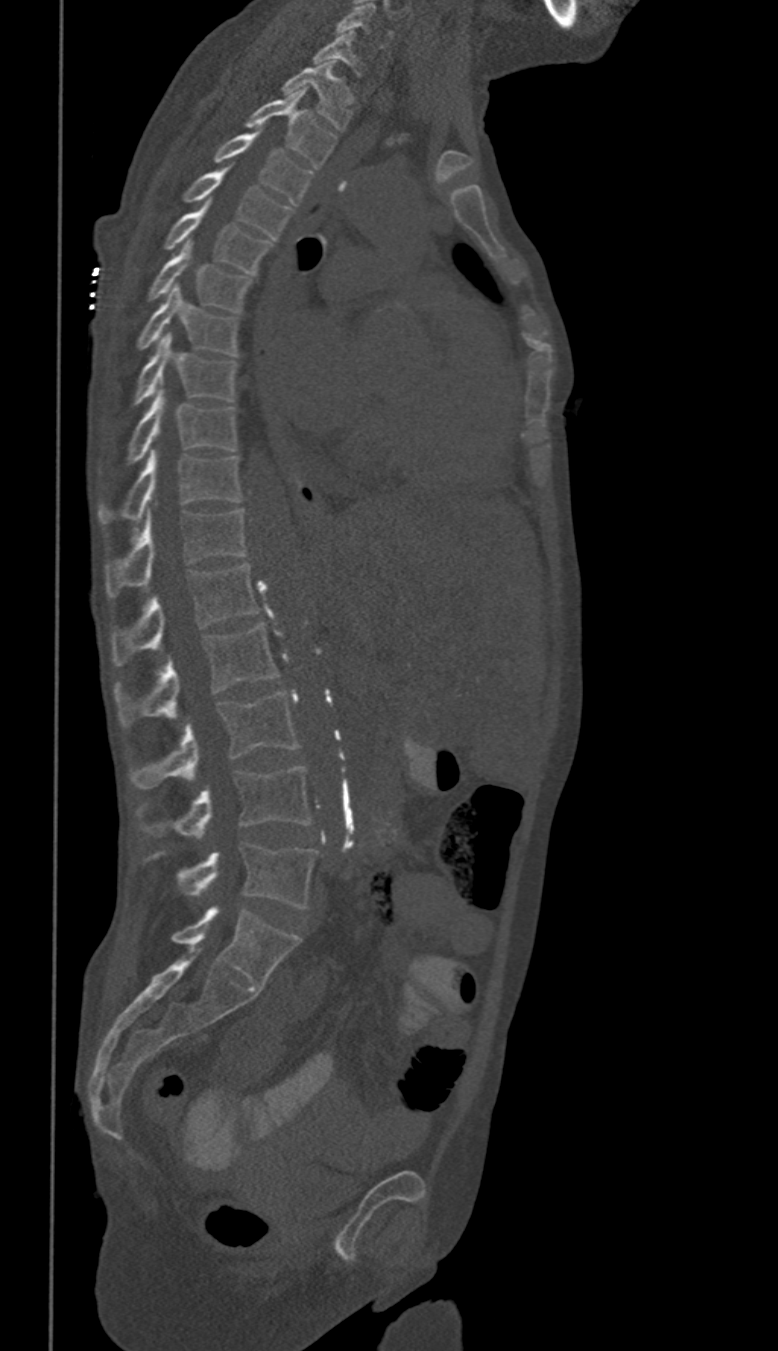
Spine CT — sagittal view — 350 mm across the image
Bounding boxes as [x1, y1, x2, y2] in pixel coordinates.
In these labels the spine has no T12: the thoracic vertebrae end at T11, and L1 comes next.
C6: [336, 3, 392, 48]
C7: [313, 31, 361, 73]
T1: [283, 63, 351, 131]
T2: [246, 89, 335, 168]
T3: [216, 132, 312, 204]
T4: [184, 167, 289, 239]
T5: [166, 200, 269, 273]
T6: [149, 240, 253, 311]
T7: [137, 285, 236, 355]
T8: [135, 334, 236, 404]
T9: [129, 389, 236, 462]
T10: [100, 449, 241, 522]
T11: [106, 509, 245, 597]
L1: [111, 563, 256, 664]
L2: [115, 623, 279, 726]
L3: [131, 692, 298, 788]
L4: [137, 767, 310, 839]
L5: [153, 843, 316, 908]